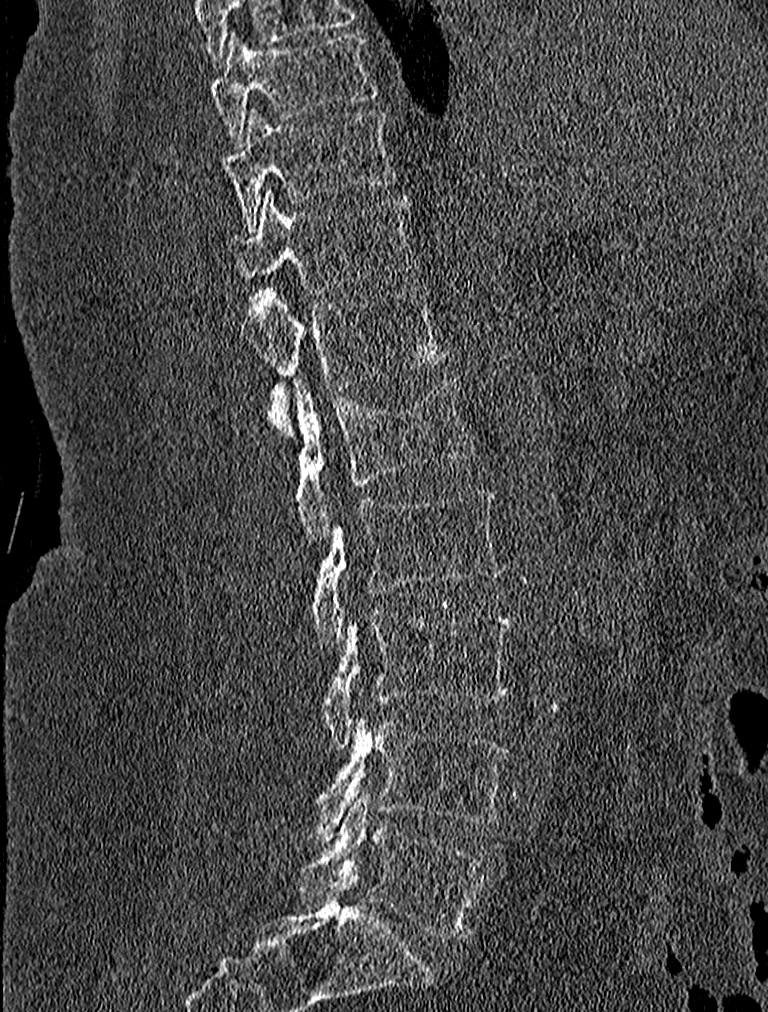
Spine computed tomography · sagittal view

Bounding boxes as [x1, y1, x2, y2] in pixel coordinates.
Vertebra bounding boxes:
- L5: [300, 793, 488, 938]
- L4: [303, 719, 509, 842]
- L3: [320, 611, 512, 748]
- L2: [310, 487, 505, 648]
- L1: [293, 376, 475, 544]
- T12: [252, 288, 444, 436]
- T11: [227, 190, 414, 293]
- T10: [222, 108, 397, 229]
- T9: [211, 30, 377, 148]